CT, spine; image width 375 mm; sagittal view; scan covers 9 annotated vertebrae
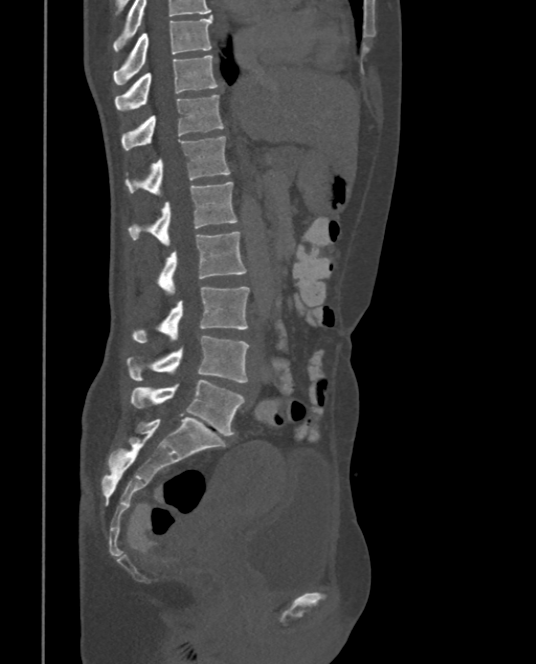

Bounding boxes as [x1, y1, x2, y2] in pixel coordinates.
Labels in this scan begin with T9 at the top and end with L5 at the bottom.
T9: [113, 16, 211, 85]
T10: [114, 54, 220, 110]
T11: [121, 94, 223, 150]
T12: [126, 136, 230, 195]
L1: [129, 181, 238, 246]
L2: [157, 231, 247, 295]
L3: [131, 287, 249, 343]
L4: [127, 336, 249, 382]
L5: [130, 380, 245, 435]